Spine computed tomography — sagittal view
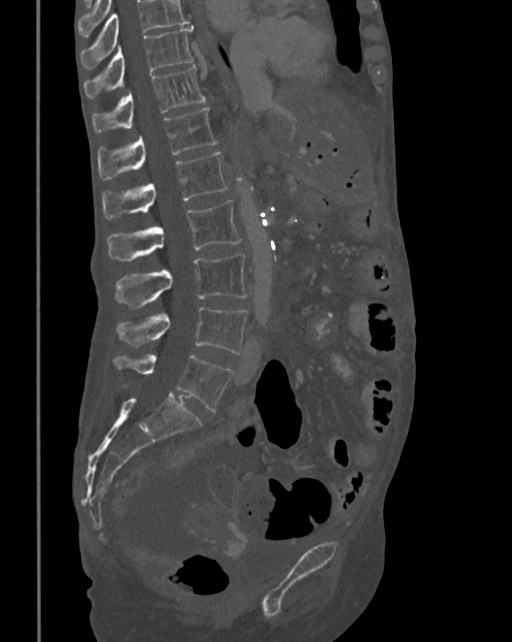 Box values are [left, top, right, bottom] in pixels.
A vertebra cut off by the top edge of the scan is not labeled and has no box.
{"vertebrae":{"L5":[112,354,232,411],"L4":[115,307,248,354],"L3":[115,254,247,308],"L2":[108,199,241,260],"L1":[102,152,228,219],"T12":[97,108,216,179],"T11":[93,66,205,133],"T10":[84,25,194,99]}}